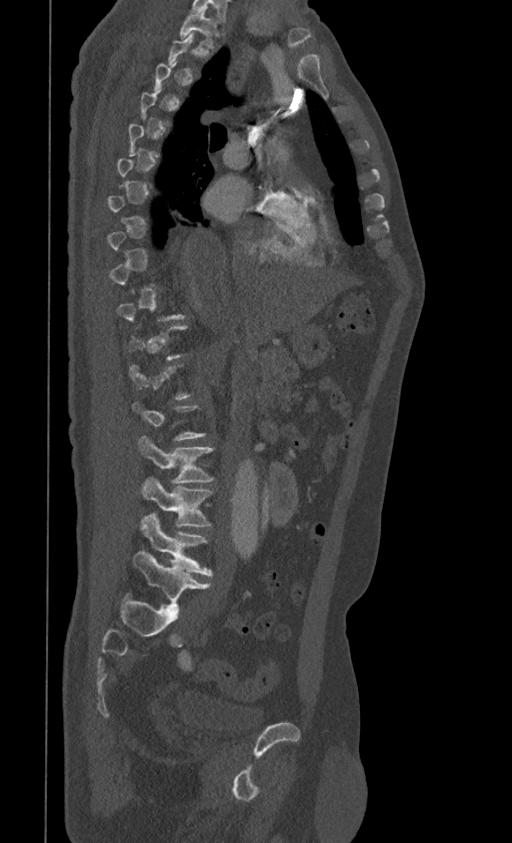 CT spine; sagittal reformat; bone-window reconstruction
Each box is [x1, y1, x2, y2] in pixels: top-left corner, then bottom-right corner.
A vertebra gets a box only on the slices from the first to the last where its cross-section is at least a third of its largest; on a slice outside that range it gets none.
{"vertebrae":{"L5":[132,551,211,611],"L4":[141,513,212,575],"L3":[141,477,213,527],"L2":[138,435,214,483],"T1":[180,9,219,49]}}